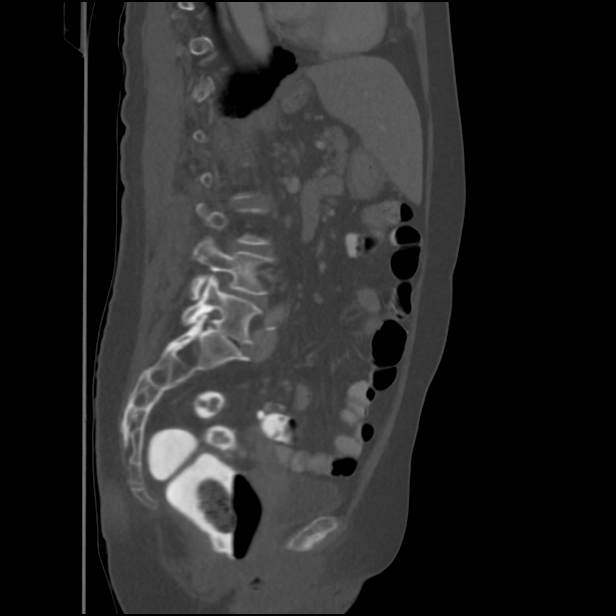

CT, spine; sagittal view
A vertebra is boxed only from the first to the last slice where its cross-section is at least a third of its largest; slices outside that range leave it without a box.
<vertebrae><v name="L4" x1="191" y1="237" x2="273" y2="299"/><v name="L5" x1="182" y1="275" x2="262" y2="344"/></vertebrae>